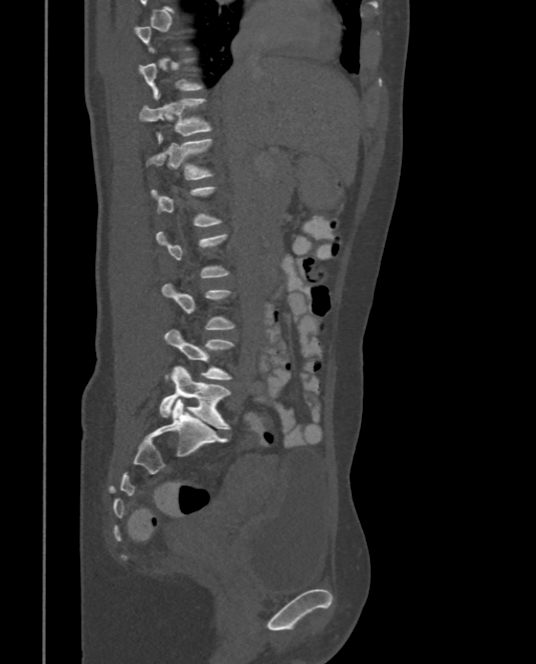
CT spine · sagittal view
Boxes: x1:y1:x2:y2 in pixels.
A vertebra is boxed only from the first to the last slice where its cross-section is at least a third of its largest; slices outside that range leave it without a box.
Vertebra bounding boxes:
- T11: 138:98:211:143
- T12: 146:138:211:179
- L4: 164:328:233:379
- L5: 160:366:230:429